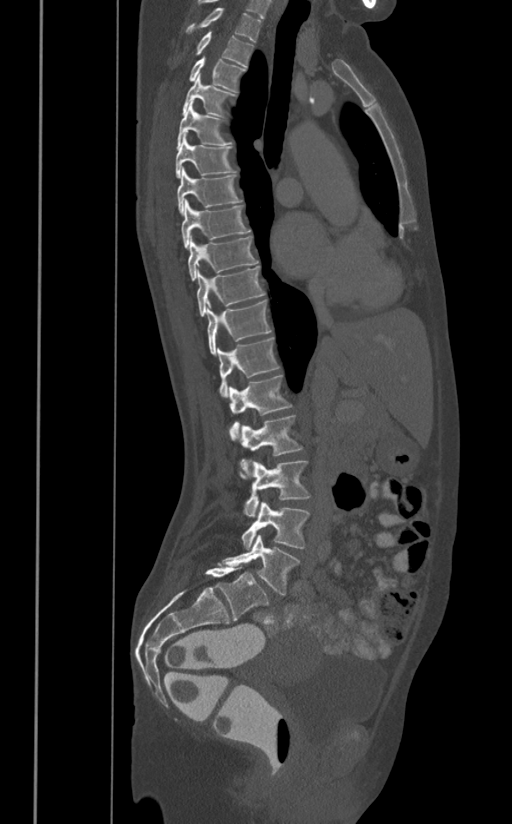
CT; sagittal view

In the table, x1 and y1 are a box's top-left corner and x2 and y2 its bottom-right corner, in pixels.
| vertebra | x1 | y1 | x2 | y2 |
|---|---|---|---|---|
| T1 | 186 | 7 | 261 | 43 |
| T2 | 195 | 32 | 253 | 66 |
| T3 | 189 | 57 | 245 | 92 |
| T4 | 182 | 73 | 236 | 116 |
| T5 | 176 | 100 | 232 | 149 |
| T6 | 175 | 133 | 236 | 178 |
| T7 | 177 | 167 | 242 | 215 |
| T8 | 182 | 200 | 250 | 248 |
| T9 | 187 | 236 | 258 | 281 |
| T10 | 196 | 266 | 265 | 316 |
| T11 | 206 | 301 | 271 | 354 |
| T12 | 217 | 337 | 279 | 396 |
| L1 | 229 | 375 | 292 | 440 |
| L2 | 239 | 415 | 303 | 479 |
| L3 | 245 | 461 | 310 | 516 |
| L4 | 241 | 502 | 309 | 549 |
| L5 | 222 | 534 | 299 | 595 |